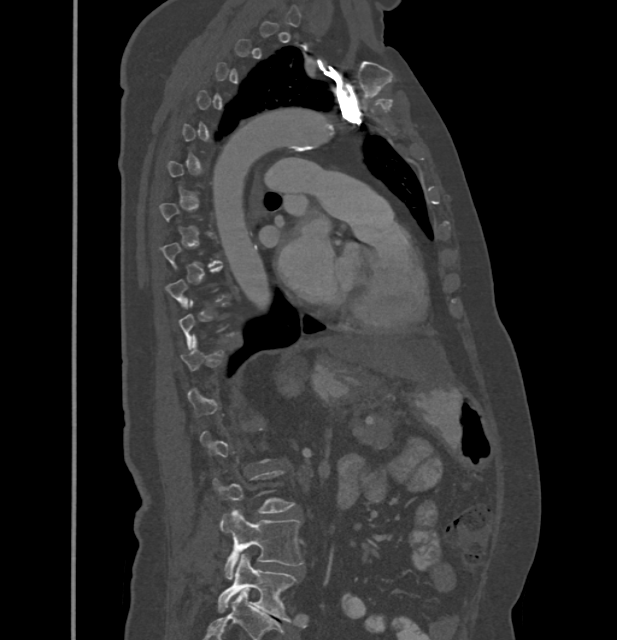 Computed tomography of the spine · sagittal view · image width 432 mm · 617x640 px
Box edges are left/top/right/bottom in pixels.
A vertebra gets a box only on the slices from the first to the last where its cross-section is at least a third of its largest; on a slice outside that range it gets none.
| vertebra | x1 | y1 | x2 | y2 |
|---|---|---|---|---|
| L5 | 218 | 555 | 296 | 622 |
| L4 | 219 | 510 | 302 | 578 |